CT, spine — sagittal view — bone-window reconstruction — 368 mm image width — 512x905 px
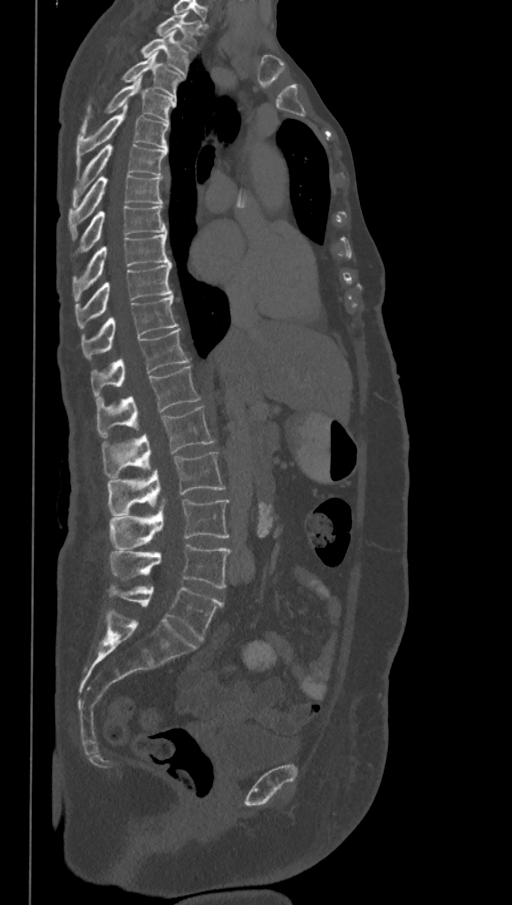
Each vertebra maps to its box as [x1, y1, x2, y2], the pixel coordinates of its top-left and bottom-right corners.
The labels name a sixth lumbar vertebra for this spine: L6, after L5.
{"vertebrae":{"L6":[108,584,223,640],"L5":[110,543,231,589],"L4":[110,500,230,551],"L3":[107,452,226,515],"L2":[101,406,216,477],"L1":[96,366,201,439],"T12":[90,328,189,400],"T11":[80,294,178,360],"T10":[75,264,173,327],"T9":[72,233,170,302],"T8":[72,205,167,256],"T7":[68,175,163,239],"T6":[72,144,167,207],"T5":[76,105,169,168],"T4":[80,78,175,132],"T3":[122,53,184,98],"T2":[140,30,189,74],"T1":[157,13,201,50]}}